CT, spine · sagittal reformat
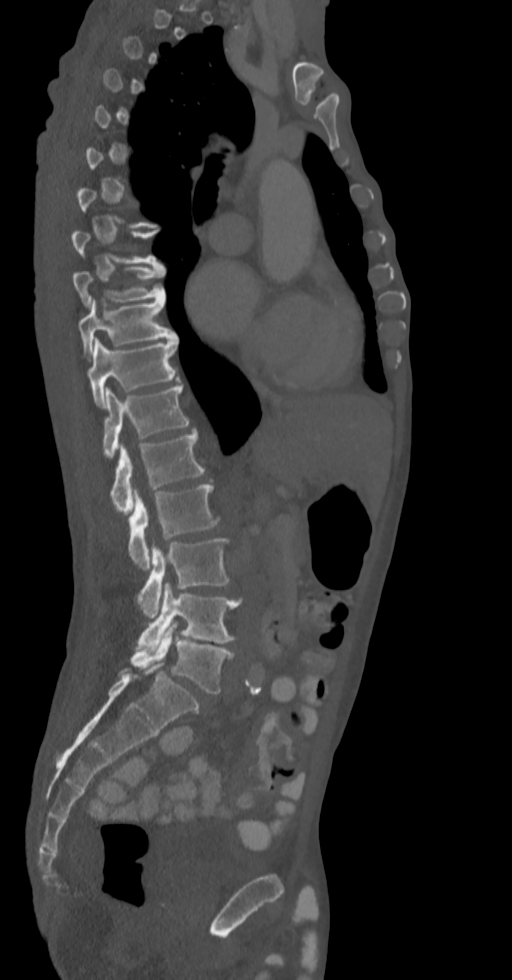

Boxes: x1:y1:x2:y2 in pixels.
Not every vertebra on this slice has a box: a vertebra is boxed only from the first to the last slice where its cross-section is at least a third of its largest, and this slice is outside that range for at least one of them.
Vertebra bounding boxes:
- T9: 73:265:165:310
- T10: 77:296:175:357
- T11: 87:338:179:407
- T12: 102:386:189:458
- L1: 111:431:204:514
- L2: 128:485:220:569
- L3: 138:538:229:618
- L4: 138:582:241:650
- L5: 131:622:233:694